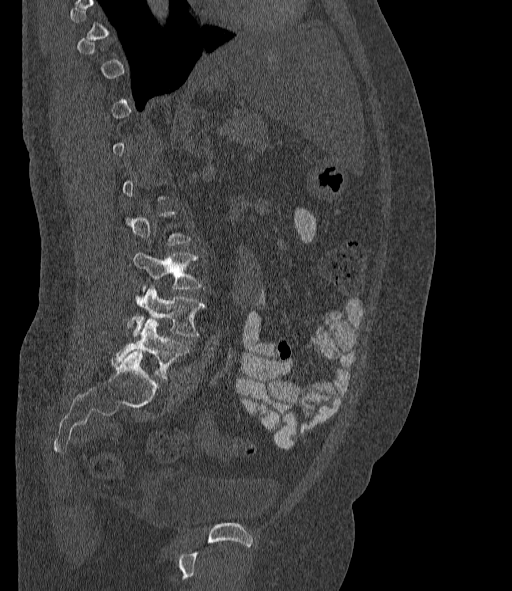

CT. sagittal view. 512x591 px

Boxes below are [x1, y1, x2, y2] in pixels.
A vertebra gets a box only on the slices from the first to the last where its cross-section is at least a third of its largest; on a slice outside that range it gets none.
The labels name a sixth lumbar vertebra for this spine: L6, after L5.
{"vertebrae":{"L4":[133,253,201,291],"L5":[126,285,205,336],"L6":[113,319,189,379]}}